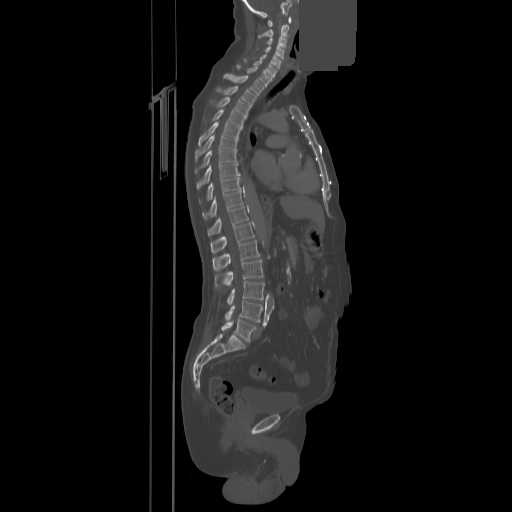 Spine CT. sagittal reformat. a uniform gray block covers part of the image

Coordinates as <box>x1,y1,x2,y2</box>. 24 vertebrae labeled — C1 at <box>268,17,291,26</box>; C2 at <box>258,25,289,38</box>; C3 at <box>267,37,286,47</box>; C4 at <box>265,45,284,59</box>; C5 at <box>260,52,280,70</box>; C6 at <box>244,59,276,77</box>; C7 at <box>237,65,271,86</box>; T1 at <box>223,74,263,95</box>; T2 at <box>216,85,256,105</box>; T3 at <box>216,97,249,115</box>; T4 at <box>212,109,246,126</box>; T5 at <box>198,122,242,145</box>; T6 at <box>195,134,237,159</box>; T7 at <box>195,150,236,173</box>; T8 at <box>197,163,239,188</box>; T9 at <box>200,176,240,202</box>; T10 at <box>203,190,243,219</box>; T11 at <box>207,206,248,236</box>; T12 at <box>211,222,254,253</box>; L1 at <box>213,240,259,270</box>; L2 at <box>214,259,263,286</box>; L3 at <box>227,281,264,304</box>; L4 at <box>225,300,262,322</box>; L5 at <box>222,319,255,341</box>.